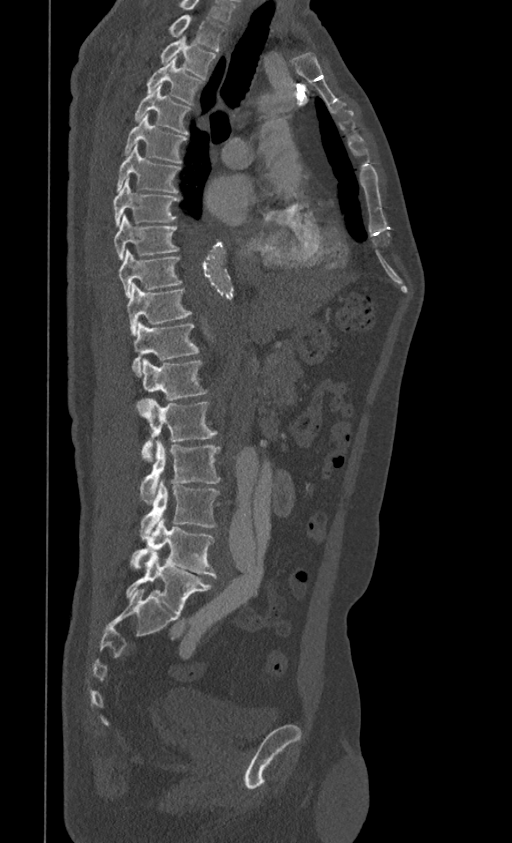 CT — sagittal view — 512x843 px
In this scan, the topmost labeled vertebra is T1 and the lowest is L5.
<vertebrae><v name="T1" x1="169" y1="14" x2="226" y2="50"/><v name="T2" x1="159" y1="36" x2="216" y2="78"/><v name="T3" x1="147" y1="59" x2="202" y2="104"/><v name="T4" x1="135" y1="84" x2="190" y2="134"/><v name="T5" x1="124" y1="114" x2="186" y2="163"/><v name="T6" x1="117" y1="143" x2="180" y2="193"/><v name="T7" x1="113" y1="178" x2="179" y2="225"/><v name="T8" x1="114" y1="215" x2="179" y2="260"/><v name="T9" x1="118" y1="249" x2="181" y2="297"/><v name="T10" x1="127" y1="284" x2="191" y2="335"/><v name="T11" x1="132" y1="321" x2="199" y2="377"/><v name="T12" x1="142" y1="358" x2="207" y2="400"/><v name="L1" x1="138" y1="400" x2="217" y2="461"/><v name="L2" x1="140" y1="440" x2="220" y2="504"/><v name="L3" x1="140" y1="478" x2="220" y2="539"/><v name="L4" x1="129" y1="517" x2="216" y2="576"/><v name="L5" x1="126" y1="552" x2="212" y2="613"/></vertebrae>